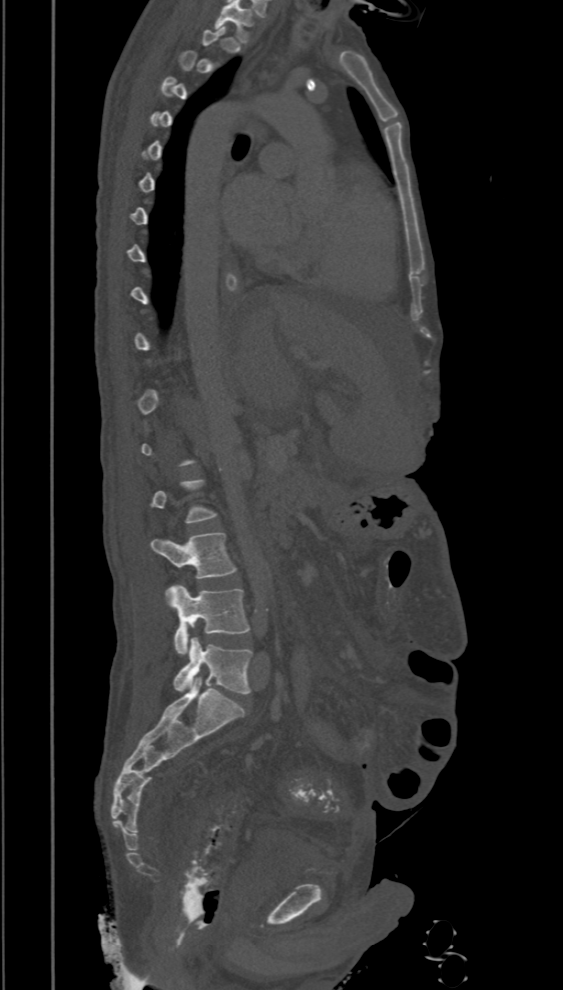
CT spine · sagittal view. Columns x1, y1, x2, y2 give each box's top-left and bottom-right pixels.
Not every vertebra on this slice has a box: a vertebra is boxed only from the first to the last slice where its cross-section is at least a third of its largest, and this slice is outside that range for at least one of them.
| vertebra | x1 | y1 | x2 | y2 |
|---|---|---|---|---|
| L5 | 173 | 637 | 252 | 694 |
| L4 | 165 | 584 | 249 | 654 |
| L3 | 150 | 533 | 236 | 578 |